Spine CT. sagittal plane, index 271. 512x793 px. the image is 350 mm wide. 13 vertebrae labeled in this scan
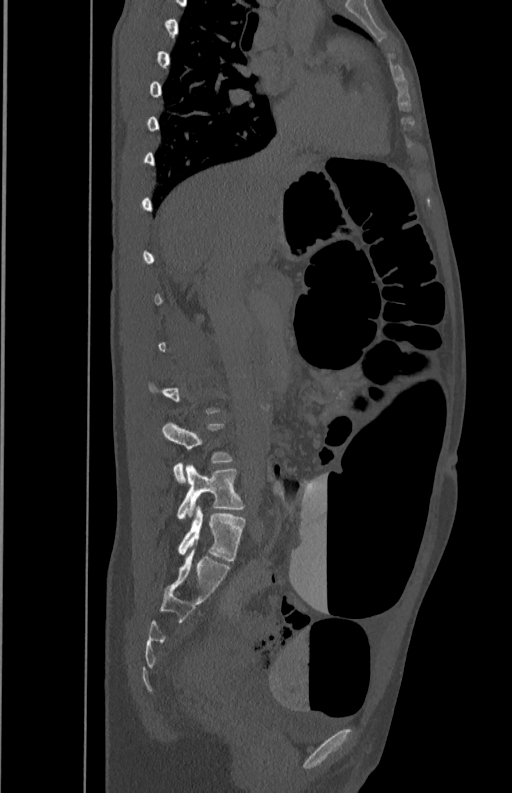
Boxes: x1 y1 x2 y2 (pixel coords, space-separated).
Each vertebra is boxed only on the slices from the first to the last where its cross-section reaches a third of its largest, so a slice outside that range leaves it unboxed.
Vertebra bounding boxes:
- L4: 162 421 233 483
- L5: 177 465 245 519